CT spine · sagittal reformat · bone window · 512x789 px
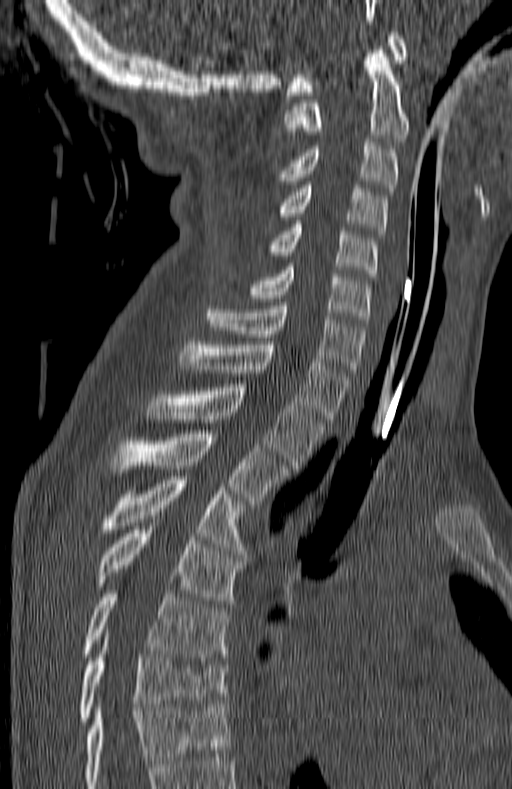
Bounding boxes as [x1, y1, x2, y2] in pixel coordinates. Labels in this scan begin with C1 at the top and end with T7 at the bottom. The labeled vertebrae in this slice are: C1 at [285, 32, 405, 95], C2 at [285, 46, 410, 141], C3 at [273, 142, 398, 191], C4 at [265, 185, 387, 234], C5 at [268, 224, 378, 276], C6 at [248, 267, 370, 323], C7 at [206, 306, 364, 372], T1 at [180, 341, 350, 419], T2 at [146, 384, 324, 468], T3 at [109, 430, 287, 504], T4 at [100, 476, 245, 554], T5 at [95, 526, 242, 603], T6 at [83, 590, 230, 660], T7 at [78, 640, 227, 724].